CT. the image is 174 mm wide. sagittal view. 174x247 px
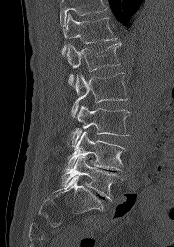
In the table, x1 and y1 are a box's top-left corner and x2 and y2 its bottom-right corner, in pixels.
No box is given to a vertebra that the top edge of the scan cuts off.
| vertebra | x1 | y1 | x2 | y2 |
|---|---|---|---|---|
| T12 | 62 | 13 | 117 | 55 |
| L1 | 66 | 43 | 120 | 86 |
| L2 | 71 | 73 | 128 | 117 |
| L3 | 70 | 106 | 130 | 146 |
| L4 | 66 | 131 | 126 | 170 |
| L5 | 61 | 156 | 121 | 200 |